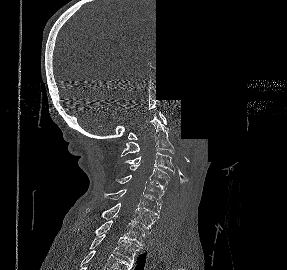 Spine CT · sagittal reformat · bone window · 287x270 px · some of the image was removed or blocked out with constant pixels

Boxes below are [x1, y1, x2, y2] in pixels.
{"vertebrae":{"C1":[128,111,166,139],"C2":[121,113,174,156],"C3":[123,152,174,174],"C4":[130,164,170,190],"C5":[115,175,164,206],"C6":[104,189,161,218],"C7":[85,203,156,229],"T1":[76,220,145,245],"T2":[89,234,142,263]}}